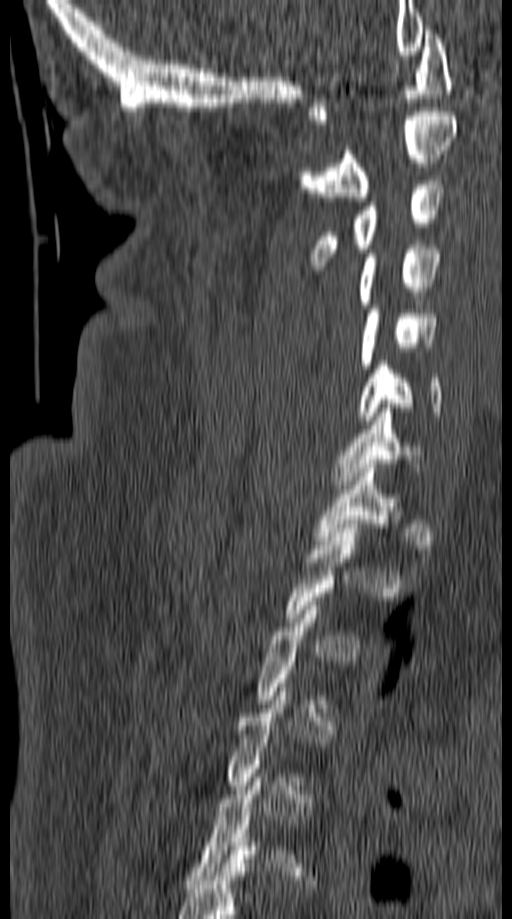
Spine computed tomography · sagittal view
Bounding boxes as [x1, y1, x2, y2] in pixel coordinates.
A vertebra gets a box only on the slices from the first to the last where its cross-section is at least a third of its largest; on a slice outside that range it gets none.
C1: [309, 26, 453, 124]
C2: [293, 107, 457, 201]
C3: [310, 180, 443, 270]
C4: [358, 245, 443, 308]
C5: [359, 309, 440, 368]
C6: [358, 361, 442, 424]
C7: [333, 408, 423, 489]
T1: [314, 464, 404, 545]